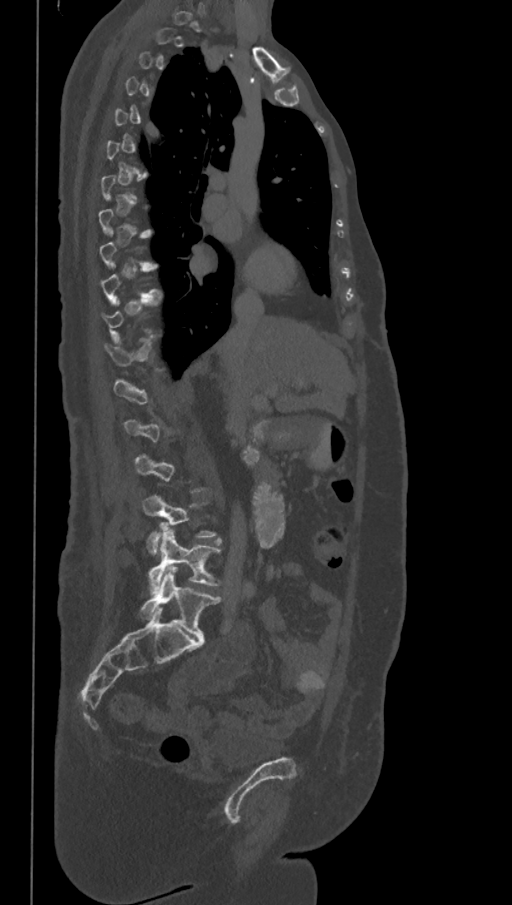

CT — sagittal view — W/L 1800/400 HU
Boxes: x1 y1 x2 y2 (pixel coords, space-separated).
Not every vertebra on this slice has a box: a vertebra is boxed only from the first to the last slice where its cross-section is at least a third of its largest, and this slice is outside that range for at least one of them.
The labels name a sixth lumbar vertebra for this spine: L6, after L5.
L4: 143 495 219 554
L5: 149 528 220 590
L6: 140 566 220 638